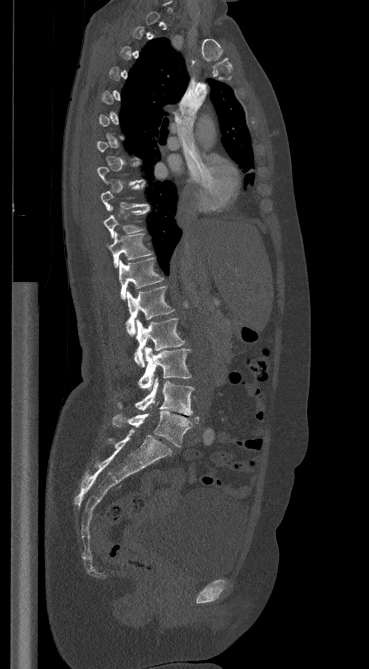

Spine CT — sagittal view — bone-window reconstruction
Boxes: x1:y1:x2:y2 in pixels.
A vertebra gets a box only on the slices from the first to the last where its cross-section is at least a third of its largest; on a slice outside that range it gets none.
Vertebra bounding boxes:
- L5: 112:410:198:447
- L4: 116:378:193:415
- L3: 138:347:191:388
- L2: 134:318:185:366
- L1: 126:286:174:335
- T12: 119:257:163:299
- T11: 109:232:151:267
- T10: 104:207:149:238